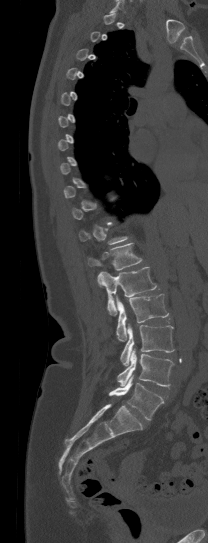 Computed tomography of the spine — sagittal view — 208x543 px — image 208 mm wide

Each vertebra maps to its box as [x1, y1, x2, y2], the pixel coordinates of its top-left and bottom-right corners.
Each vertebra is boxed only on the slices from the first to the last where its cross-section reaches a third of its largest, so a slice outside that range leaves it unboxed.
{"vertebrae":{"T12":[87,242,141,286],"L1":[100,267,156,315],"L2":[116,293,168,341],"L3":[120,324,174,365],"L4":[117,349,174,386],"L5":[108,375,163,419]}}